Spine computed tomography — sagittal reformat — 512x789 px — 14 vertebrae labeled in this scan
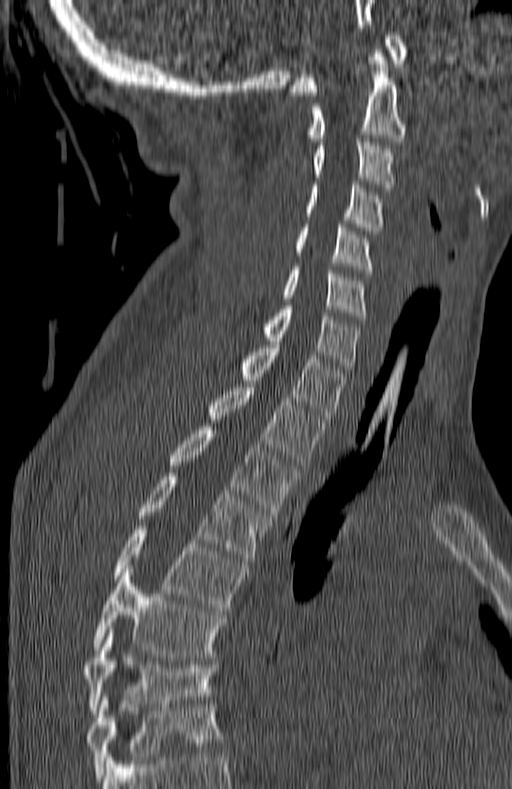 Boxes are (x1, y1, x2, y2) in pixels. The highest labeled vertebra in this scan is C1; the lowest is T7. 14 vertebrae labeled — C1 at (290, 32, 407, 95); C2 at (308, 50, 404, 141); C3 at (313, 139, 395, 191); C4 at (305, 181, 381, 234); C5 at (294, 224, 373, 273); C6 at (283, 267, 367, 319); C7 at (263, 302, 361, 376); T1 at (240, 341, 346, 422); T2 at (209, 384, 324, 465); T3 at (169, 427, 296, 515); T4 at (137, 473, 270, 564); T5 at (115, 526, 245, 611); T6 at (93, 569, 225, 657); T7 at (83, 633, 216, 714).